Computed tomography of the spine; sagittal reformat; bone-window reconstruction; 512x618 px; scan covers 9 annotated vertebrae
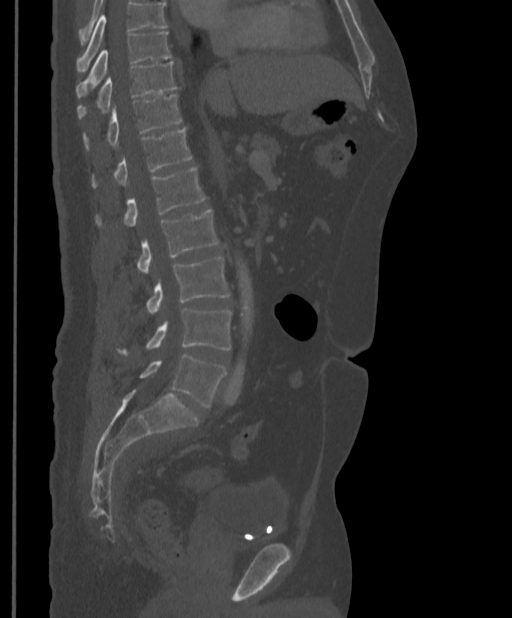

Boxes: x1 y1 x2 y2 (pixel coords, space-separated).
Where the top of the scan cuts through a vertebra, that vertebra gets no label or box.
T9: 76 31 172 97
T10: 77 61 177 119
T11: 82 94 181 149
T12: 91 128 191 187
L1: 95 168 205 227
L2: 135 209 218 271
L3: 146 257 230 312
L4: 116 308 231 355
L5: 139 355 226 407